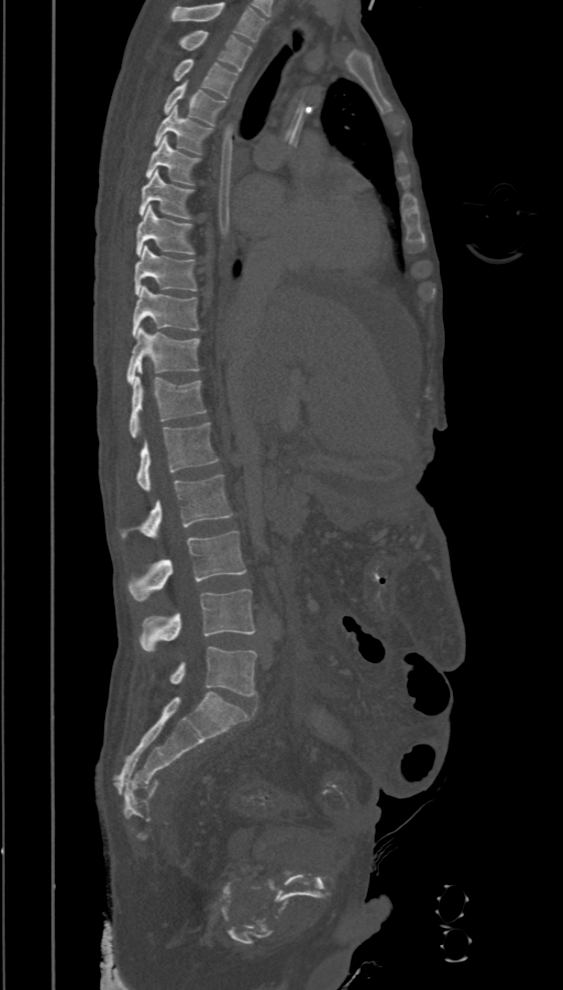
Computed tomography of the spine · sagittal view. Box edges are left/top/right/bottom in pixels.
The highest labeled vertebra in this scan is T2; the lowest is L5.
Vertebra bounding boxes:
- T2: left=178, top=30, right=252, bottom=71
- T3: left=173, top=58, right=238, bottom=98
- T4: left=164, top=82, right=225, bottom=125
- T5: left=154, top=106, right=213, bottom=154
- T6: left=145, top=136, right=200, bottom=185
- T7: left=139, top=170, right=194, bottom=219
- T8: left=135, top=205, right=195, bottom=256
- T9: left=134, top=246, right=197, bottom=295
- T10: left=131, top=286, right=199, bottom=336
- T11: left=128, top=327, right=200, bottom=384
- T12: left=129, top=377, right=206, bottom=438
- L1: left=137, top=423, right=219, bottom=491
- L2: left=120, top=475, right=233, bottom=539
- L3: left=128, top=530, right=246, bottom=601
- L4: left=140, top=589, right=254, bottom=651
- L5: left=169, top=646, right=256, bottom=696